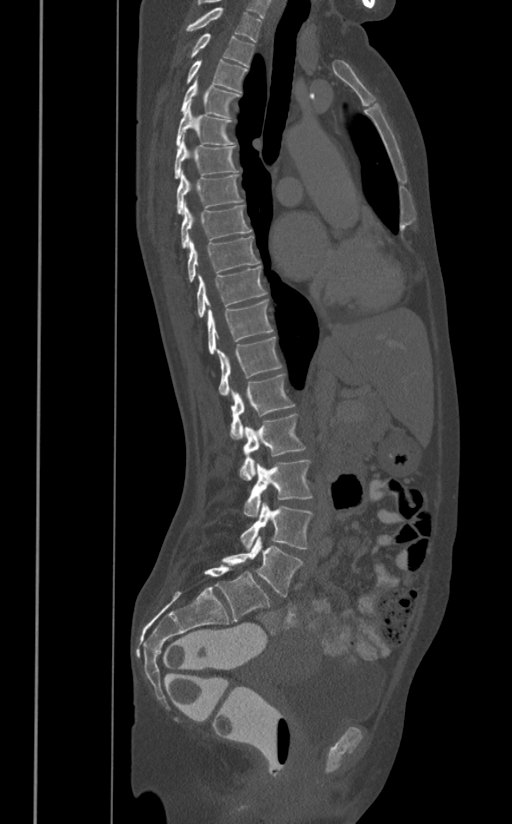

CT — image width 391 mm — sagittal view — bone window
<vertebrae><v name="L5" x1="222" y1="536" x2="303" y2="597"/><v name="L4" x1="241" y1="502" x2="312" y2="549"/><v name="L3" x1="243" y1="460" x2="312" y2="516"/><v name="L2" x1="239" y1="414" x2="305" y2="480"/><v name="L1" x1="230" y1="375" x2="295" y2="439"/><v name="T12" x1="217" y1="337" x2="282" y2="396"/><v name="T11" x1="208" y1="298" x2="273" y2="354"/><v name="T10" x1="196" y1="266" x2="266" y2="316"/><v name="T9" x1="187" y1="236" x2="259" y2="283"/><v name="T8" x1="181" y1="203" x2="252" y2="248"/><v name="T7" x1="177" y1="171" x2="242" y2="215"/><v name="T6" x1="174" y1="134" x2="238" y2="178"/><v name="T5" x1="175" y1="101" x2="235" y2="147"/><v name="T4" x1="181" y1="77" x2="240" y2="117"/><v name="T3" x1="187" y1="59" x2="248" y2="92"/><v name="T2" x1="190" y1="33" x2="254" y2="66"/><v name="T1" x1="186" y1="7" x2="261" y2="41"/></vertebrae>